Spine computed tomography · sagittal view · 205x255 px · 9 vertebrae labeled in this scan · a region of this slice is masked with a uniform fill
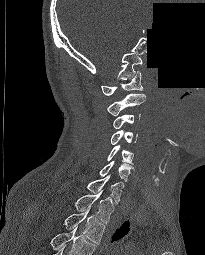

Boxes: x1:y1:x2:y2 in pixels.
This scan's labels start at C1 at the top and end at T2 at the bottom.
Vertebra bounding boxes:
- C1: 101:71:143:95
- C2: 107:93:145:116
- C3: 113:114:140:129
- C4: 111:130:137:144
- C5: 107:145:133:164
- C6: 99:161:134:181
- C7: 87:175:123:203
- T1: 74:189:113:223
- T2: 63:207:105:243